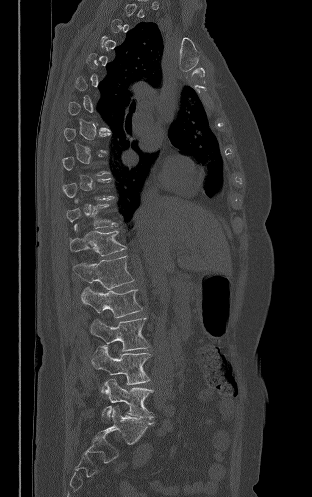
CT, spine — sagittal view — 312x497 px — the image is 312 mm wide
Coordinates as <box>x1,y1,x2,y2</box>. A vertebra gets a box only on the slices from the first to the last where its cross-section is at least a third of its largest; on a slice outside that range it gets none. 7 vertebrae labeled — L5 at <box>101,378,153,423</box>; L4 at <box>91,346,151,385</box>; L3 at <box>90,318,149,350</box>; L2 at <box>81,286,142,317</box>; L1 at <box>73,256,134,289</box>; T12 at <box>69,224,126,256</box>; T11 at <box>66,204,117,230</box>.